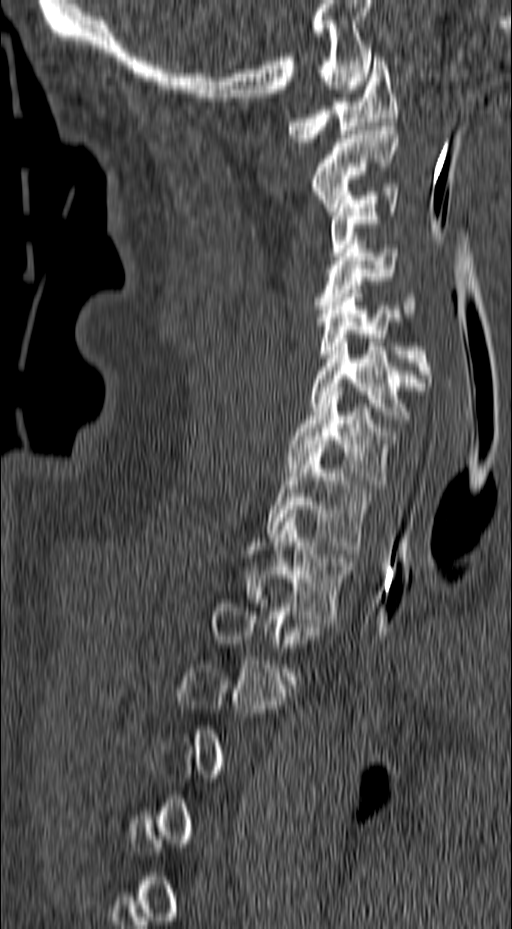
Spine CT · 157 mm image width · sagittal view
Boxes are (x1, y1, x2, y2) in pixels. Each vertebra is boxed only on the slices from the first to the last where its cross-section reaches a third of its largest, so a slice outside that range leaves it unboxed. Vertebrae labeled: C1 at (287, 57, 398, 146), C2 at (311, 122, 398, 215), C3 at (329, 188, 398, 256), C4 at (316, 236, 417, 317), C5 at (317, 289, 432, 386), C6 at (311, 338, 425, 423), C7 at (285, 387, 398, 488), T1 at (267, 448, 369, 549), T2 at (246, 514, 352, 623).